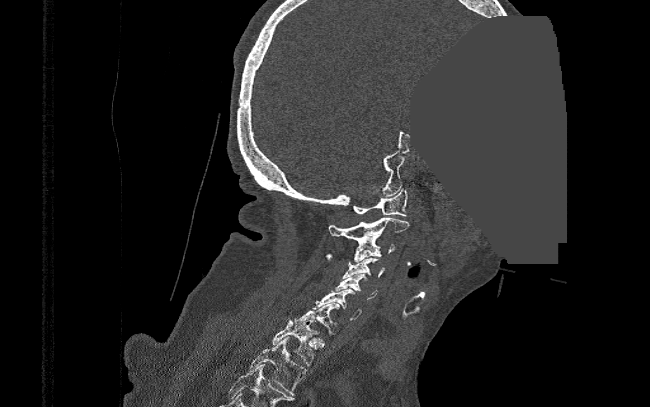 Spine CT. sagittal view. 650x407 px. some of the image was removed or blocked out with constant pixels
Each box given as x1,y1,x2,y2.
C1: x1=352, y1=189, x2=407, y2=216
C2: x1=329, y1=217, x2=409, y2=244
C3: x1=326, y1=239, x2=395, y2=261
C4: x1=343, y1=257, x2=384, y2=278
C5: x1=334, y1=274, x2=377, y2=300
C6: x1=312, y1=289, x2=361, y2=320
C7: x1=293, y1=302, x2=339, y2=333
T1: x1=272, y1=319, x2=318, y2=366
T2: x1=248, y1=337, x2=306, y2=395